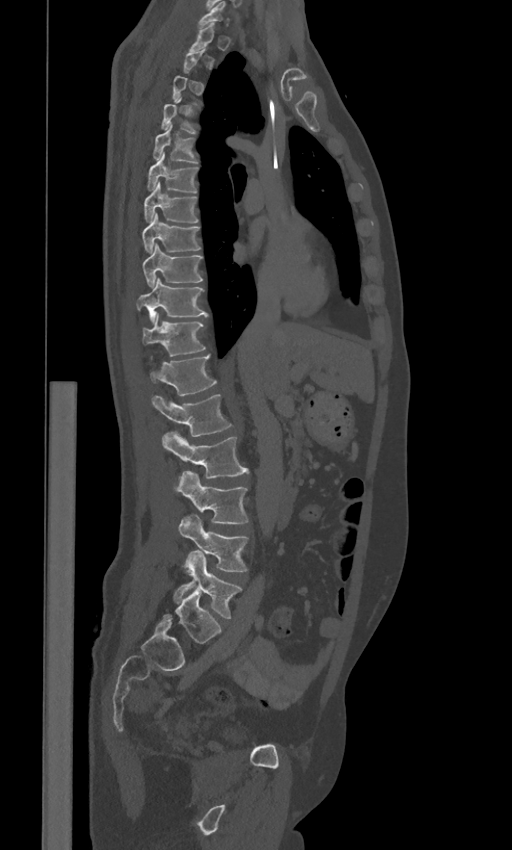
Spine CT — sagittal view — bone-window reconstruction

A vertebra is boxed only from the first to the last slice where its cross-section is at least a third of its largest; slices outside that range leave it without a box.
These labels give the spine a sixth lumbar vertebra, L6, below L5.
<vertebrae><v name="L6" x1="163" y1="589" x2="220" y2="647"/><v name="L5" x1="173" y1="550" x2="242" y2="618"/><v name="L4" x1="178" y1="515" x2="247" y2="571"/><v name="L3" x1="174" y1="471" x2="249" y2="523"/><v name="L2" x1="162" y1="432" x2="249" y2="477"/><v name="L1" x1="152" y1="394" x2="231" y2="436"/><v name="T12" x1="150" y1="354" x2="216" y2="395"/><v name="T11" x1="142" y1="313" x2="206" y2="356"/><v name="T10" x1="136" y1="278" x2="208" y2="321"/><v name="T9" x1="142" y1="243" x2="202" y2="286"/><v name="T8" x1="142" y1="214" x2="200" y2="253"/><v name="T7" x1="143" y1="182" x2="198" y2="223"/><v name="T6" x1="147" y1="153" x2="198" y2="192"/><v name="T5" x1="152" y1="123" x2="198" y2="163"/><v name="T1" x1="189" y1="24" x2="214" y2="51"/><v name="C7" x1="198" y1="1" x2="229" y2="27"/></vertebrae>